Spine computed tomography; sagittal view; bone-window reconstruction; 10 vertebrae labeled in this scan
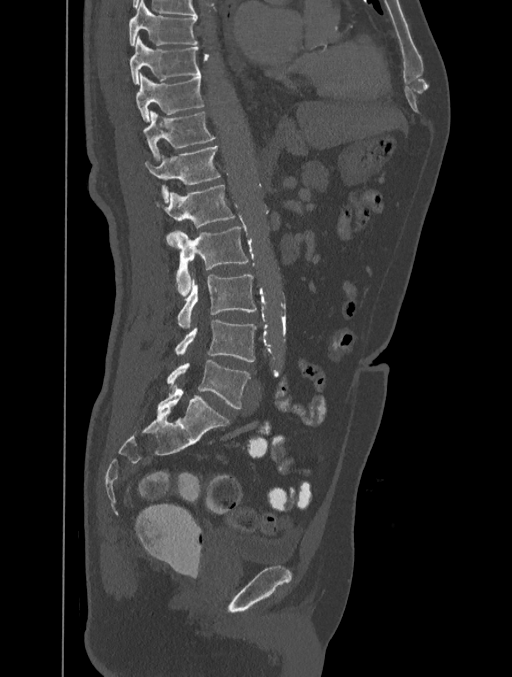 Boxes: x1:y1:x2:y2 in pixels.
Vertebra bounding boxes:
- T8: 129:1:198:45
- T9: 130:36:201:83
- T10: 136:72:204:122
- T11: 144:111:216:160
- T12: 144:146:221:202
- L1: 165:184:235:246
- L2: 174:226:247:295
- L3: 177:275:255:328
- L4: 175:319:255:362
- L5: 167:360:250:409